Spine computed tomography; sagittal view; W/L 1800/400 HU
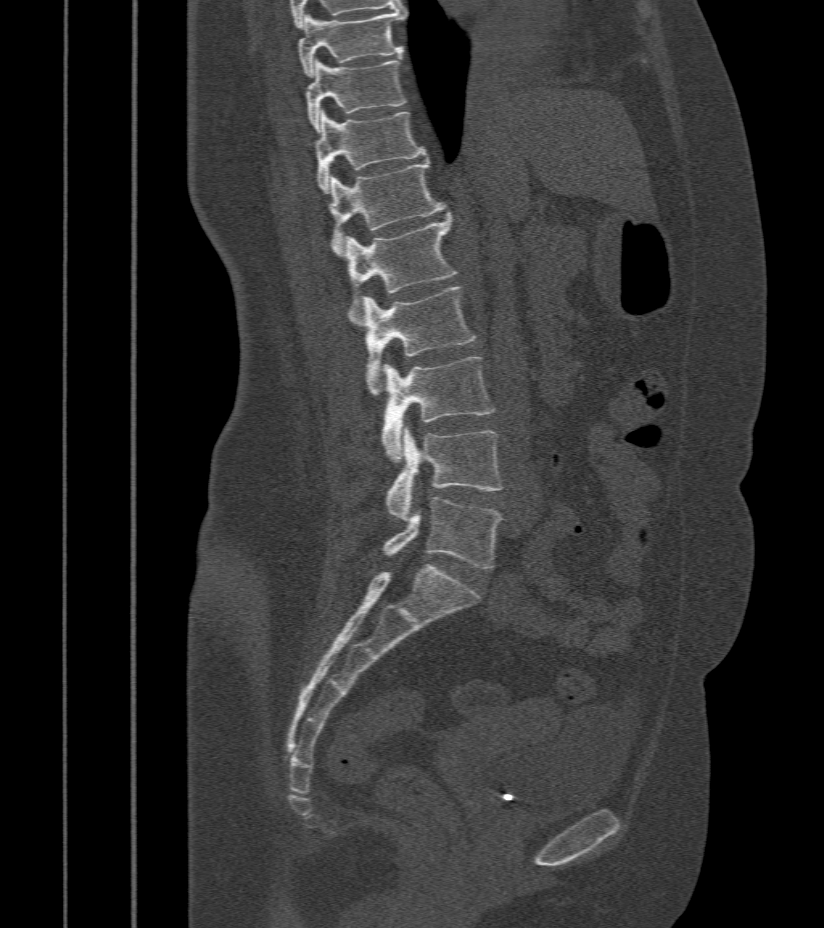 <vertebrae><v name="T9" x1="298" y1="9" x2="406" y2="76"/><v name="T10" x1="306" y1="57" x2="406" y2="130"/><v name="T11" x1="314" y1="111" x2="427" y2="192"/><v name="T12" x1="330" y1="159" x2="446" y2="256"/><v name="L1" x1="344" y1="215" x2="456" y2="312"/><v name="L2" x1="364" y1="287" x2="477" y2="396"/><v name="L3" x1="381" y1="357" x2="495" y2="462"/><v name="L4" x1="386" y1="427" x2="503" y2="520"/><v name="L5" x1="383" y1="497" x2="501" y2="568"/></vertebrae>